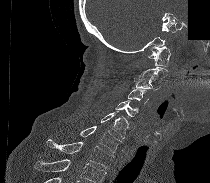

Computed tomography of the spine · sagittal view · bone window · 210 mm wide · 210x183 px · a portion of the image is blanked out (constant pixel value)
Box values are [left, top, right, bottom] in pixels.
A vertebra cut off by the bottom edge of the scan is not labeled and has no box.
{"vertebrae":{"T1":[45,139,113,169],"C7":[80,126,122,152],"C6":[100,111,128,138],"C5":[115,100,138,116],"C4":[128,88,148,103],"C3":[132,78,160,90],"C2":[134,66,168,78],"C1":[148,46,170,66]}}